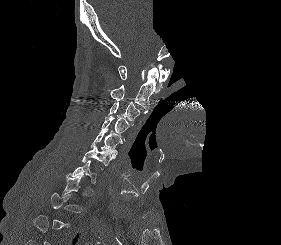
Computed tomography of the spine — sagittal view — 281x245 px — a portion of the image is blanked out (constant pixel value)

Bounding boxes as [x1, y1, x2, y2] in pixel coordinates. A vertebra gets a box only on the slices from the first to the last where its cross-section is at least a third of its largest; on a slice outside that range it gets none. Vertebrae labeled: C1 at [118, 64, 169, 93], C2 at [109, 68, 158, 113], C3 at [108, 101, 140, 125], C4 at [101, 115, 129, 141], C5 at [90, 130, 122, 155], C6 at [82, 147, 116, 166], C7 at [67, 160, 103, 184].